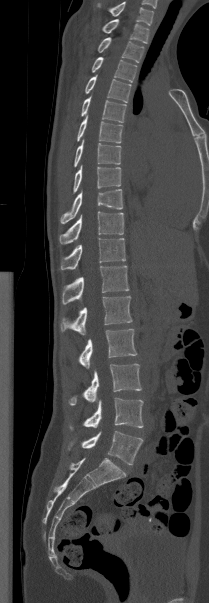

Computed tomography of the spine · sagittal view · bone window · 209x603 px. Box edges are left/top/right/bottom in pixels.
In this scan, the topmost labeled vertebra is T1 and the lowest is L5.
| vertebra | x1 | y1 | x2 | y2 |
|---|---|---|---|---|
| T1 | 102 | 19 | 148 | 43 |
| T2 | 98 | 37 | 144 | 62 |
| T3 | 91 | 57 | 137 | 82 |
| T4 | 85 | 75 | 131 | 102 |
| T5 | 81 | 96 | 126 | 122 |
| T6 | 77 | 116 | 122 | 143 |
| T7 | 74 | 139 | 120 | 166 |
| T8 | 73 | 165 | 121 | 193 |
| T9 | 60 | 189 | 123 | 223 |
| T10 | 59 | 211 | 123 | 244 |
| T11 | 60 | 238 | 125 | 269 |
| T12 | 62 | 265 | 129 | 304 |
| L1 | 60 | 296 | 132 | 335 |
| L2 | 78 | 329 | 137 | 368 |
| L3 | 69 | 364 | 141 | 405 |
| L4 | 70 | 398 | 143 | 429 |
| L5 | 68 | 431 | 143 | 465 |